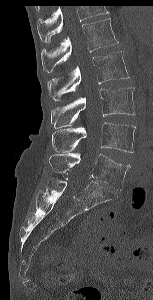
CT spine — sagittal view — bone-window reconstruction — 153x300 px — 153 mm wide

Each box given as x1,y1,x2,y2.
Where the top of the scan cuts through a vertebra, that vertebra gets no label or box.
Vertebra bounding boxes:
- L1: x1=41, y1=18, x2=118, y2=73
- L2: x1=47, y1=51, x2=129, y2=100
- L3: x1=50, y1=87, x2=135, y2=128
- L4: x1=51, y1=122, x2=135, y2=152
- L5: x1=49, y1=153, x2=130, y2=190